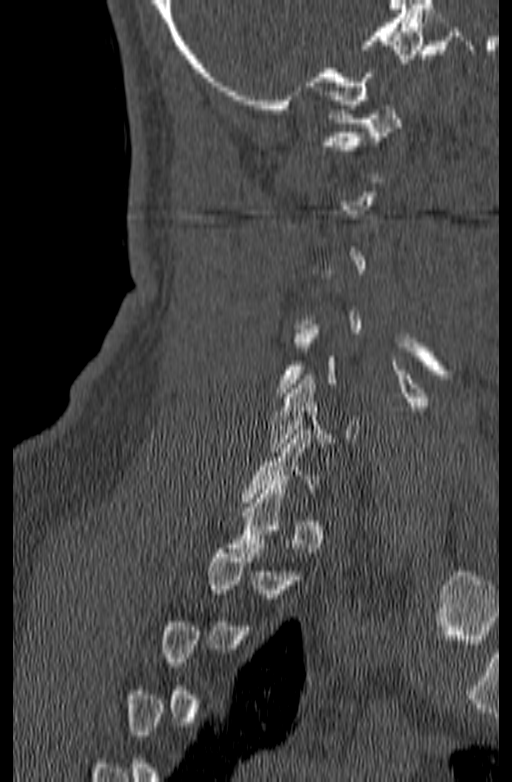

CT · sagittal view · 140 mm wide

Coordinates as <box>x1,y1,x2,y2</box>. A vertebra gets a box only on the slices from the first to the last where its cross-section is at least a third of its largest; on a slice outside that range it gets none. 2 vertebrae labeled — C6 at <box>269,375,359,452</box>; C1 at <box>323,105,402,150</box>.